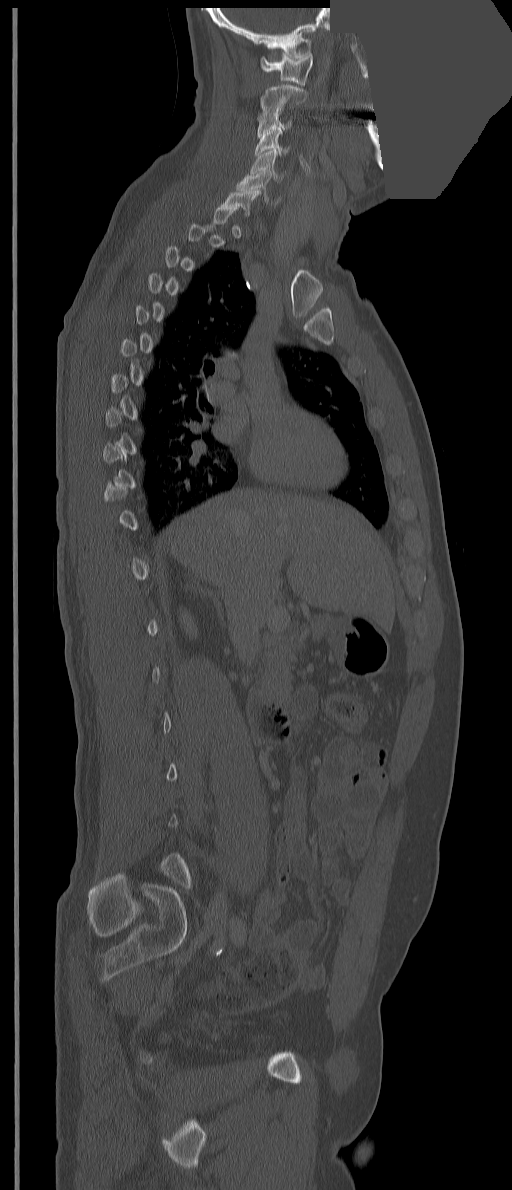

Spine CT · sagittal view · W/L 1800/400 HU · 512x1190 px · a portion of the image is blanked out (constant pixel value). Boxes: x1:y1:x2:y2 in pixels. Not every vertebra on this slice has a box: a vertebra is boxed only from the first to the last slice where its cross-section is at least a third of its largest, and this slice is outside that range for at least one of them. 7 vertebrae labeled — C1 at 260:52:313:86; C2 at 260:85:307:116; C3 at 257:112:291:138; C4 at 255:128:288:155; C5 at 250:149:283:180; C6 at 236:169:280:205; C7 at 222:190:261:215.